Computed tomography of the spine · sagittal view · bone window · 8 vertebrae labeled in this scan · 350 mm image width
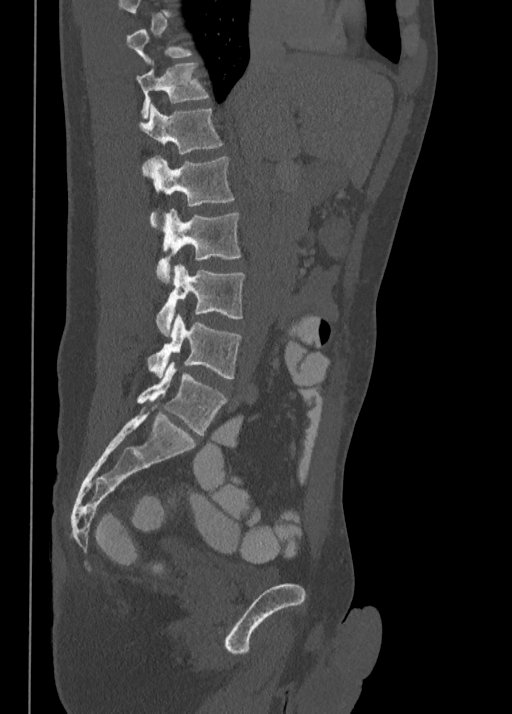
Box values are [left, top, right, bottom] in pixels.
Not every vertebra on this slice has a box: a vertebra is boxed only from the first to the last slice where its cross-section is at least a third of its largest, and this slice is outside that range for at least one of them.
{"vertebrae":{"T11":[136,63,208,117],"T12":[139,103,223,154],"L1":[142,157,234,227],"L2":[156,209,240,282],"L3":[156,265,245,335],"L4":[148,315,242,379],"L5":[137,361,227,435]}}